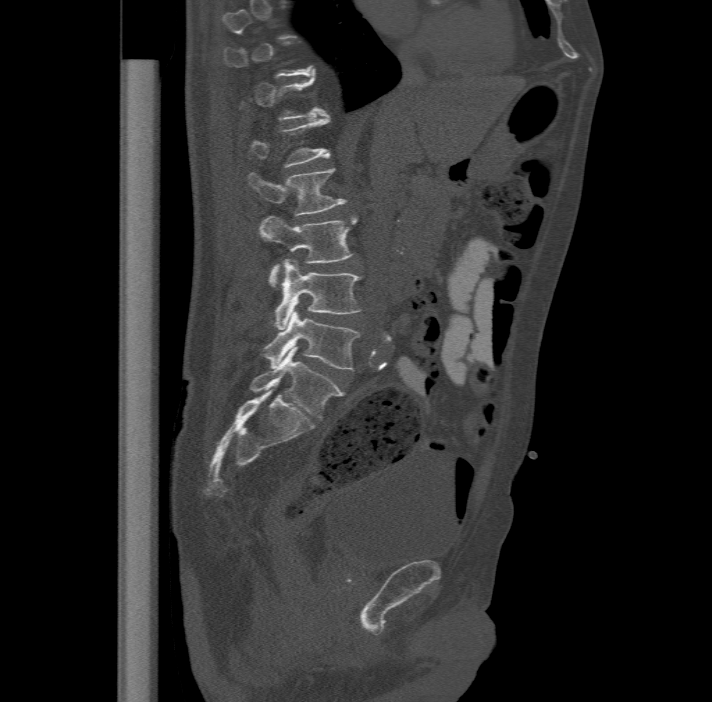

Spine CT; sagittal view; W/L 1800/400 HU
Boxes: x1:y1:x2:y2 in pixels.
Each vertebra is boxed only on the slices from the first to the last where its cross-section reaches a third of its largest, so a slice outside that range leaves it unboxed.
The labels name a sixth lumbar vertebra for this spine: L6, after L5.
Vertebra bounding boxes:
- L6: 250:347:342:419
- L5: 263:310:361:370
- L4: 271:258:362:329
- L3: 260:215:358:285
- L2: 248:167:345:214
- L1: 249:116:330:166